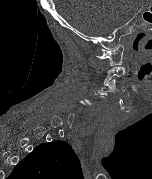

Computed tomography of the spine · the image is 152 mm wide · sagittal view · 152x179 px

Not every vertebra on this slice has a box: a vertebra is boxed only from the first to the last slice where its cross-section is at least a third of its largest, and this slice is outside that range for at least one of them.
<vertebrae><v name="C1" x1="96" y1="44" x2="124" y2="65"/><v name="C3" x1="104" y1="79" x2="124" y2="92"/></vertebrae>